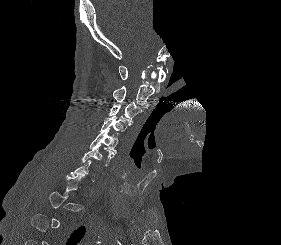
CT · sagittal view · bone window · 281x245 px · some of the image was removed or blocked out with constant pixels

Each vertebra maps to its box as [x1, y1, x2, y2], the pixel coordinates of its top-left and bottom-right corners.
Not every vertebra on this slice has a box: a vertebra is boxed only from the first to the last slice where its cross-section is at least a third of its largest, and this slice is outside that range for at least one of them.
{"vertebrae":{"C6":[81,144,114,166],"C5":[89,129,118,153],"C4":[100,116,131,132],"C3":[108,102,141,122],"C2":[112,71,156,108],"C1":[118,65,169,92]}}